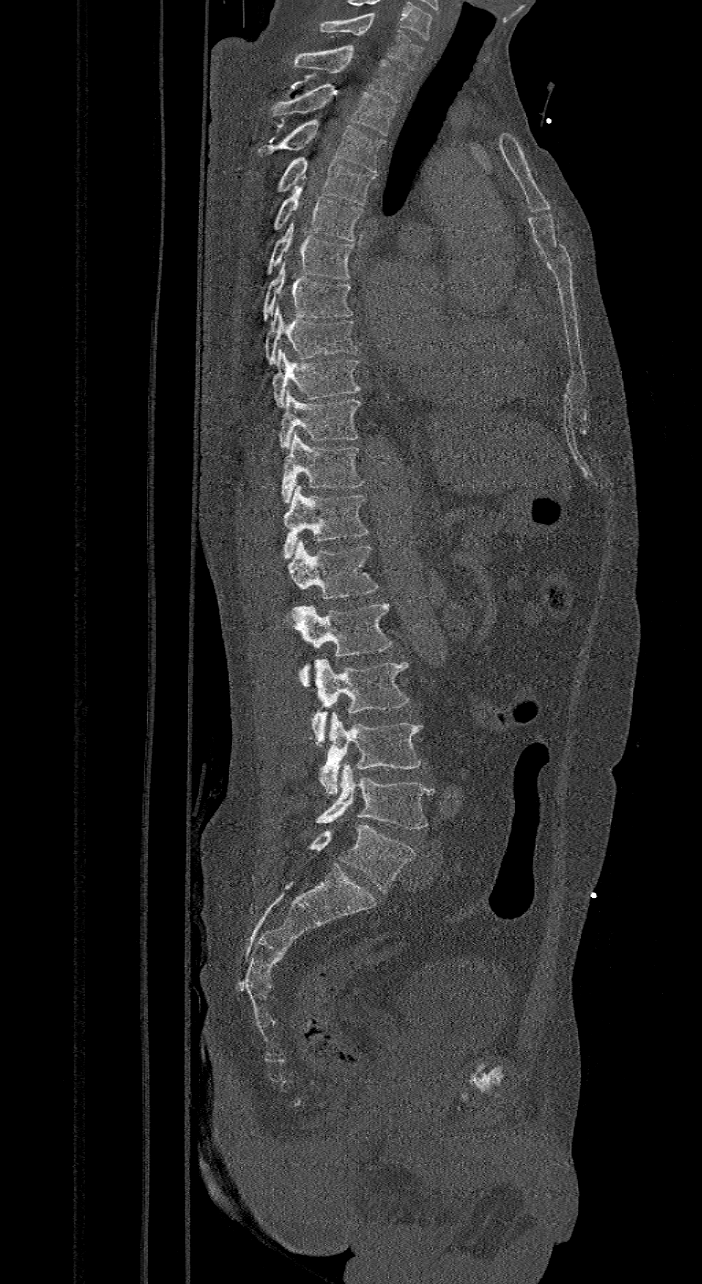 Computed tomography of the spine · sagittal view · bone-window reconstruction · 702x1284 px
Each box is [x1, y1, x2, y2] in pixels: top-left corner, then bottom-right corner.
These labels give the spine a sixth lumbar vertebra, L6, below L5.
{"vertebrae":{"L6":[308,824,416,892],"L5":[315,764,432,828],"L4":[318,713,422,795],"L3":[308,659,409,745],"L2":[289,602,392,685],"L1":[288,540,379,597],"T12":[284,485,369,559],"T11":[281,430,364,503],"T10":[278,389,361,448],"T9":[271,347,361,406],"T8":[264,305,357,365],"T7":[263,262,353,320],"T6":[266,222,354,279],"T5":[273,175,364,240],"T4":[277,157,377,205],"T3":[258,119,384,172],"T2":[269,83,395,135],"T1":[293,45,407,102],"C7":[318,15,422,69]}}